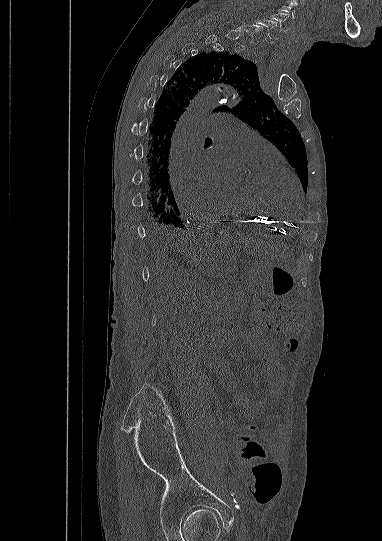

Spine CT; sagittal view

Box values are [left, top, right, bottom] in pixels.
Each vertebra is boxed only on the slices from the first to the last where its cross-section reaches a third of its largest, so a slice outside that range leaves it unboxed.
In this scan, the topmost labeled vertebra is C5 and the lowest is L5.
{"vertebrae":{"C5":[269,13,289,31],"C6":[256,20,276,41]}}